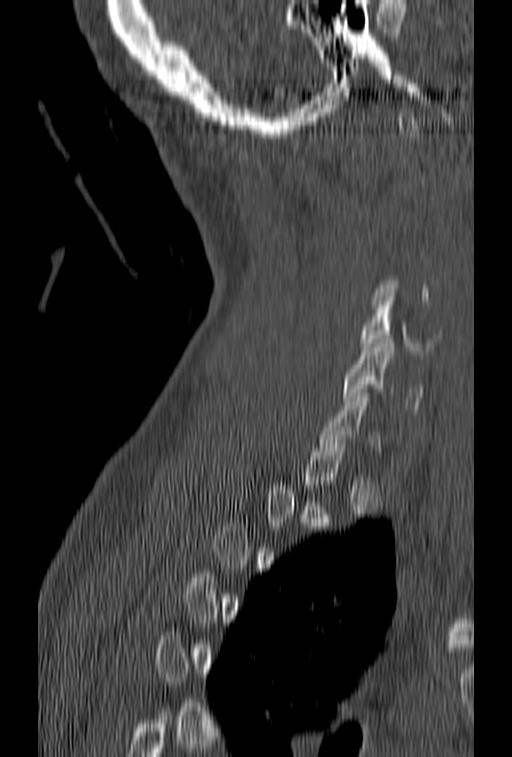

CT; sagittal view; bone window; 512x757 px

Bounding boxes as [x1, y1, x2, y2] in pixel coordinates.
Each vertebra is boxed only on the slices from the first to the last where its cross-section reaches a third of its largest, so a slice outside that range leaves it unboxed.
C5: [359, 293, 442, 355]
C6: [343, 339, 422, 413]